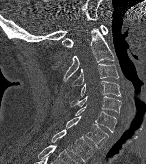

CT spine. sagittal view. 146x164 px. image 146 mm wide. Boxes: x1 y1 x2 y2 (pixel coords, space-separated).
C1: 62 24 108 47
C2: 63 27 114 83
C3: 72 63 118 85
C4: 80 80 121 96
C5: 71 95 121 113
C6: 75 104 116 132
C7: 65 116 108 148
T1: 51 129 93 162